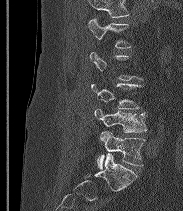
CT, spine — sagittal view
Each row gives a vertebra's box as x1, y1, x2, y2 in pixels: top-left corner, then bottom-right corner.
A vertebra gets a box only on the slices from the first to the last where its cross-section is at least a third of its largest; on a slice outside that range it gets none.
Vertebrae that run past the top of the scan are left unlabeled.
These labels give the spine a sixth lumbar vertebra, L6, below L5.
| vertebra | x1 | y1 | x2 | y2 |
|---|---|---|---|---|
| L2 | 88 | 17 | 131 | 48 |
| L4 | 91 | 83 | 141 | 108 |
| L5 | 94 | 108 | 146 | 132 |
| L6 | 97 | 131 | 144 | 168 |